CT spine — sagittal view — W/L 1800/400 HU
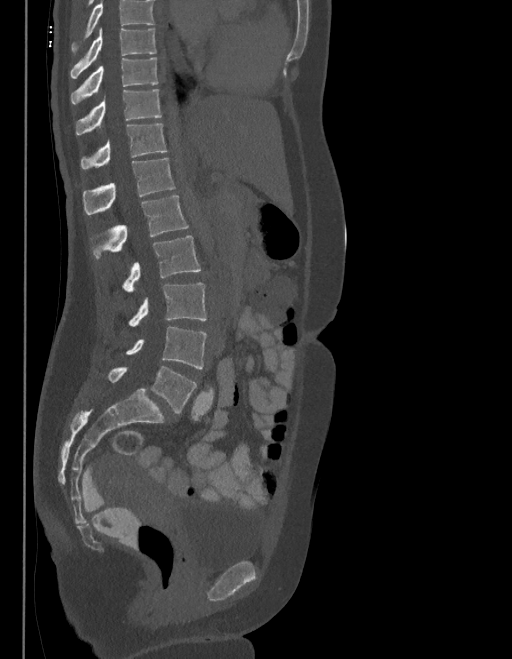 Boxes are (x1, y1, x2, y2) in pixels. No box is given to a vertebra that the top edge of the scan cuts off. The labels name a sixth lumbar vertebra for this spine: L6, after L5. Vertebrae labeled: T9 at (71, 29, 155, 78), T10 at (71, 58, 158, 104), T11 at (76, 89, 160, 134), T12 at (81, 123, 167, 168), L1 at (82, 158, 174, 214), L2 at (91, 196, 188, 259), L3 at (121, 236, 200, 292), L4 at (128, 282, 206, 326), L5 at (126, 327, 206, 369), L6 at (108, 367, 196, 413).